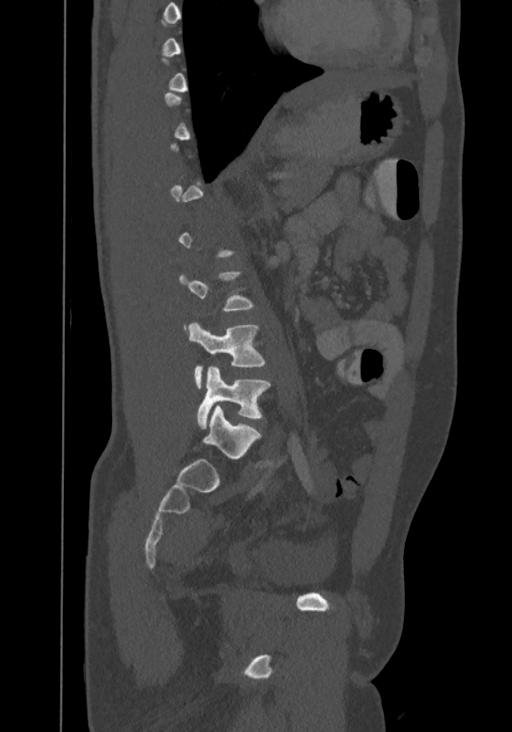
CT spine. sagittal view
Boxes are (x1, y1, x2, y2) in pixels.
Not every vertebra on this slice has a box: a vertebra is boxed only from the first to the last slice where its cross-section is at least a third of its largest, and this slice is outside that range for at least one of them.
This scan's labels start at T8 at the top and end at L4 at the bottom.
L2: (178, 271, 254, 329)
L3: (187, 321, 265, 388)
L4: (197, 367, 271, 428)